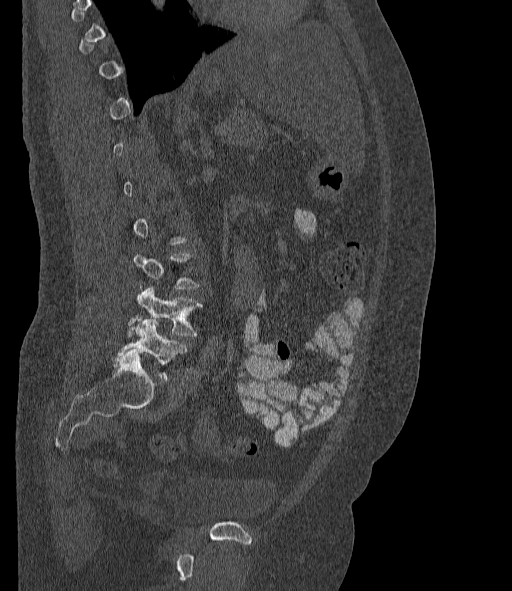 CT spine · 377 mm wide · sagittal view · W/L 1800/400 HU · 512x591 px
Coordinates as <box>x1,y1,x2,y2</box>.
A vertebra gets a box only on the slices from the first to the last where its cross-section is at least a third of its largest; on a slice outside that range it gets none.
These labels give the spine a sixth lumbar vertebra, L6, below L5.
L5: <box>127,285,201,336</box>
L6: <box>119,319,186,379</box>